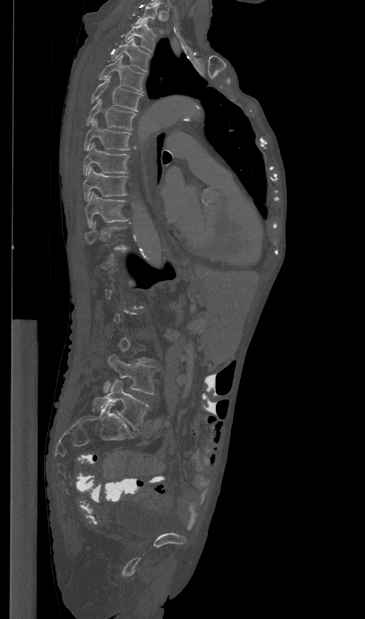

CT spine. 365 mm across the image. sagittal view

Boxes are given in columns x1, y1, x2, y2, the pixel coordinates of their top-left and bottom-right corners.
Each vertebra is boxed only on the slices from the first to the last where its cross-section reaches a third of its largest, so a slice outside that range leaves it unboxed.
| vertebra | x1 | y1 | x2 | y2 |
|---|---|---|---|---|
| T1 | 134 | 5 | 162 | 32 |
| T2 | 124 | 22 | 156 | 52 |
| T3 | 111 | 38 | 150 | 71 |
| T4 | 99 | 55 | 145 | 92 |
| T5 | 91 | 76 | 142 | 111 |
| T6 | 86 | 99 | 136 | 130 |
| T7 | 84 | 119 | 131 | 150 |
| T8 | 83 | 143 | 129 | 174 |
| T9 | 83 | 166 | 127 | 200 |
| T10 | 85 | 192 | 128 | 227 |
| L4 | 103 | 354 | 157 | 394 |
| L5 | 93 | 380 | 148 | 430 |